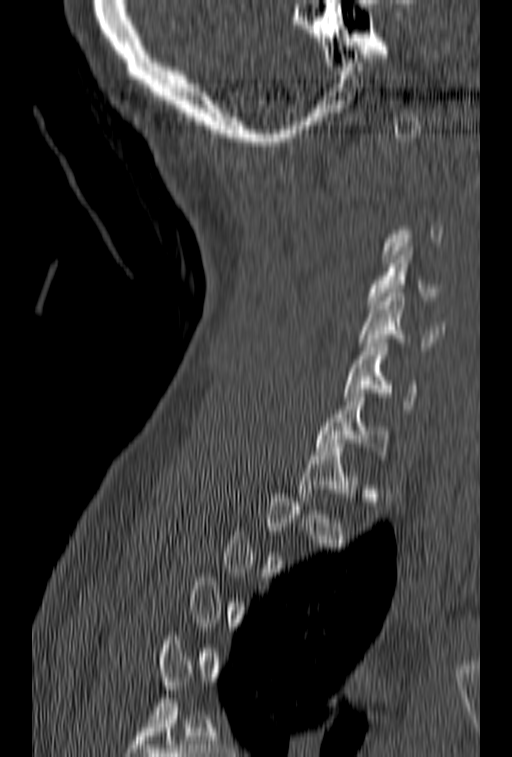 CT, spine; sagittal reformat; bone window; image 153 mm wide
A vertebra gets a box only on the slices from the first to the last where its cross-section is at least a third of its largest; on a slice outside that range it gets none.
<vertebrae><v name="C4" x1="366" y1="247" x2="439" y2="309"/><v name="C5" x1="359" y1="293" x2="444" y2="350"/><v name="C6" x1="343" y1="343" x2="416" y2="413"/><v name="C7" x1="316" y1="393" x2="388" y2="459"/></vertebrae>